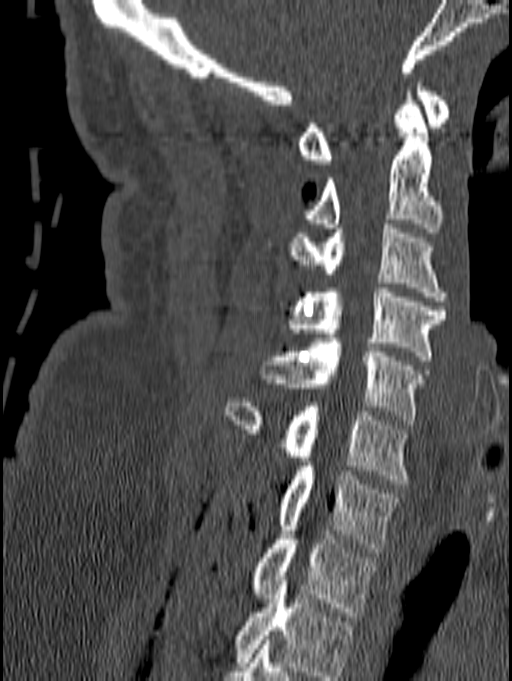

CT spine; sagittal reformat; 140 mm wide. Boxes: x1 y1 x2 y2 (pixel coords, space-separated).
In this scan, the topmost labeled vertebra is C1 and the lowest is T1.
Vertebra bounding boxes:
- T1: 250 526 378 616
- C7: 276 462 399 552
- C6: 225 398 409 484
- C5: 261 338 429 424
- C4: 290 288 447 360
- C3: 286 224 449 301
- C2: 305 87 443 232
- C1: 297 78 451 164